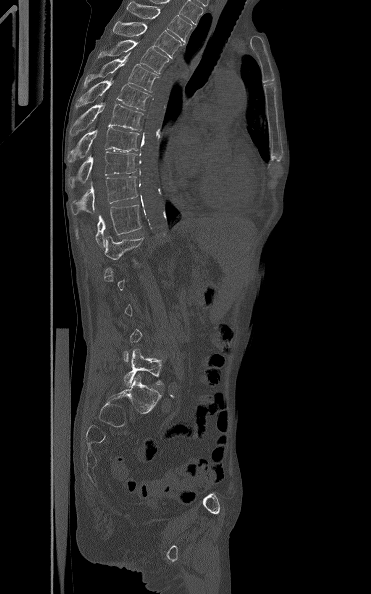
CT, spine — sagittal view — 371x594 px
Not every vertebra on this slice has a box: a vertebra is boxed only from the first to the last slice where its cross-section is at least a third of its largest, and this slice is outside that range for at least one of them.
<vertebrae><v name="T3" x1="126" y1="0" x2="191" y2="42"/><v name="T4" x1="112" y1="20" x2="184" y2="58"/><v name="T5" x1="97" y1="40" x2="170" y2="74"/><v name="T6" x1="84" y1="53" x2="158" y2="92"/><v name="T7" x1="75" y1="80" x2="150" y2="110"/><v name="T8" x1="70" y1="103" x2="143" y2="135"/><v name="T9" x1="67" y1="127" x2="139" y2="162"/><v name="T10" x1="70" y1="151" x2="137" y2="187"/><v name="T11" x1="70" y1="176" x2="137" y2="215"/><v name="T12" x1="75" y1="204" x2="141" y2="246"/><v name="L1" x1="104" y1="229" x2="151" y2="264"/><v name="L5" x1="124" y1="349" x2="163" y2="387"/></vertebrae>